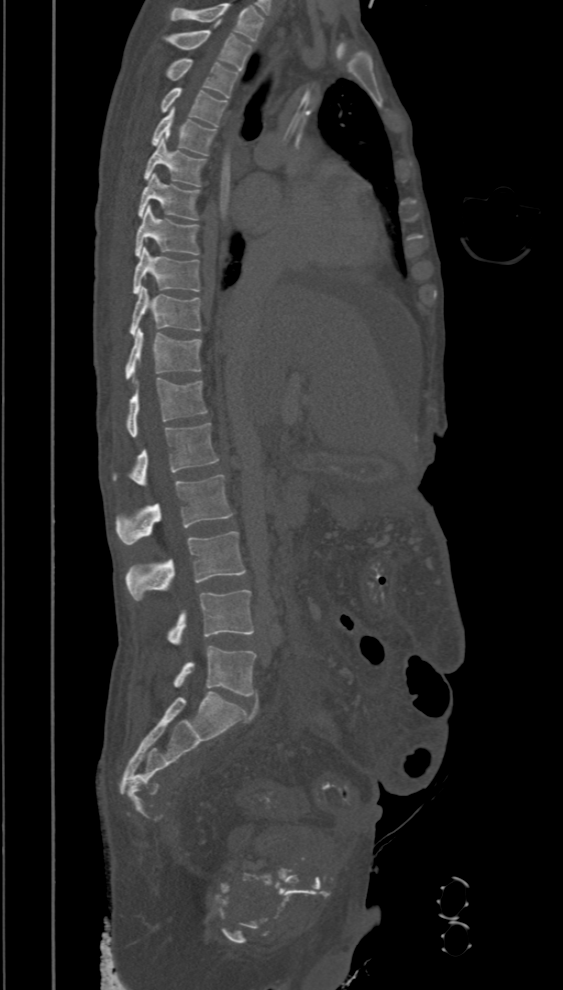
CT, spine; sagittal reformat; 563x990 px
Boxes: x1:y1:x2:y2 in pixels. The highest labeled vertebra in this scan is T2; the lowest is L5. The labeled vertebrae in this slice are: L5 at 173:646:256:696, L4 at 167:590:253:645, L3 at 125:532:246:600, L2 at 115:475:233:545, L1 at 113:423:219:485, T12 at 125:377:208:436, T11 at 125:329:202:381, T10 at 130:286:201:336, T9 at 133:246:200:294, T8 at 134:205:199:256, T7 at 139:173:200:219, T6 at 144:135:206:186, T5 at 152:107:216:155, T4 at 159:87:228:126, T3 at 166:58:238:98, T2 at 164:23:252:71.